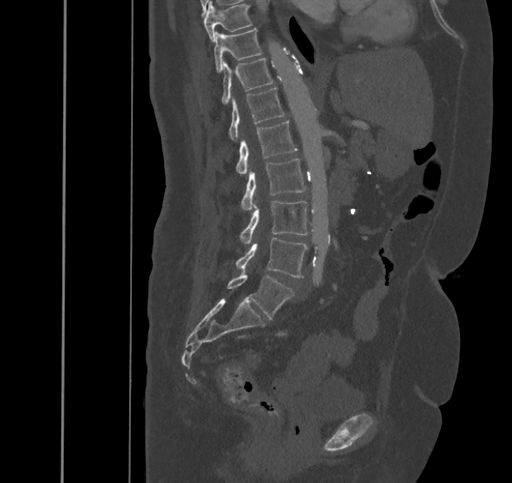 CT. sagittal reformat. 512x483 px. Boxes are given in columns x1, y1, x2, y2, the pixel coordinates of their top-left and bottom-right corners.
| vertebra | x1 | y1 | x2 | y2 |
|---|---|---|---|---|
| L5 | 227 | 270 | 293 | 319 |
| L4 | 236 | 237 | 307 | 277 |
| L3 | 240 | 201 | 307 | 243 |
| L2 | 240 | 158 | 306 | 209 |
| L1 | 236 | 120 | 297 | 173 |
| T12 | 229 | 87 | 284 | 141 |
| T11 | 222 | 58 | 273 | 105 |
| T10 | 214 | 28 | 261 | 71 |
| T9 | 204 | 2 | 251 | 40 |